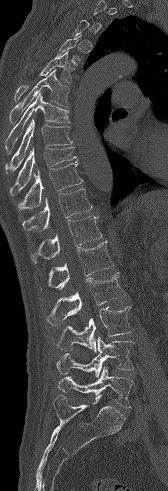
Spine CT — sagittal view — W/L 1800/400 HU. Bounding boxes as [x1, y1, x2, y2] in pixel coordinates.
A vertebra gets a box only on the slices from the first to the last where its cross-section is at least a third of its largest; on a slice outside that range it gets none.
Vertebra bounding boxes:
- T5: [14, 50, 74, 102]
- T6: [9, 69, 69, 124]
- T7: [5, 92, 70, 154]
- T8: [5, 118, 72, 173]
- T9: [9, 147, 76, 195]
- T10: [18, 161, 83, 210]
- T11: [22, 188, 92, 230]
- T12: [30, 216, 102, 263]
- L1: [40, 241, 113, 289]
- L2: [46, 272, 125, 325]
- L3: [53, 306, 133, 353]
- L4: [57, 337, 134, 377]
- L5: [58, 367, 133, 408]